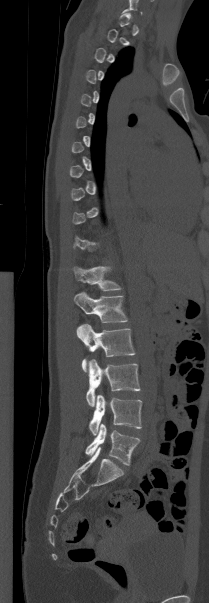
CT spine — sagittal view — 209x603 px — the image spans 209 mm across

Not every vertebra on this slice has a box: a vertebra is boxed only from the first to the last slice where its cross-section is at least a third of its largest, and this slice is outside that range for at least one of them.
<vertebrae><v name="T12" x1="73" y1="266" x2="121" y2="291"/><v name="L1" x1="74" y1="292" x2="127" y2="322"/><v name="L2" x1="76" y1="324" x2="135" y2="371"/><v name="L3" x1="86" y1="359" x2="140" y2="406"/><v name="L4" x1="89" y1="394" x2="141" y2="435"/><v name="L5" x1="85" y1="423" x2="139" y2="465"/></vertebrae>